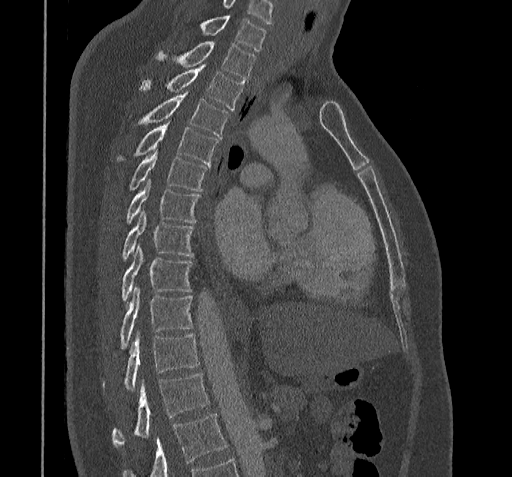 Spine computed tomography · sagittal reformat · bone-window reconstruction

Coordinates as <box>x1,y1,x2,y2</box>. A vertebra cut off by the bottom edge of the scan is not labeled and has no box. This scan's labels start at C7 at the top and end at T11 at the bottom. The labeled vertebrae in this slice are: C7 at <box>200,16,266,51</box>, T1 at <box>156,42,255,81</box>, T2 at <box>140,66,244,109</box>, T3 at <box>136,93,228,138</box>, T4 at <box>117,123,218,165</box>, T5 at <box>128,149,209,191</box>, T6 at <box>125,179,199,222</box>, T7 at <box>122,210,194,261</box>, T8 at <box>121,246,193,302</box>, T9 at <box>119,288,193,348</box>, T10 at <box>103,332,199,390</box>, T11 at <box>113,374,209,445</box>.